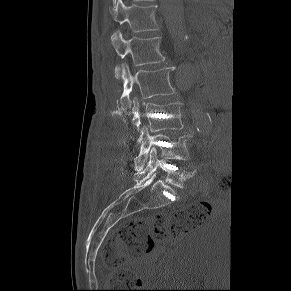

CT spine · sagittal view · bone window · 291x291 px
Box edges are left/top/right/bottom in pixels.
L5: left=134, top=147, right=196, bottom=188
L4: left=134, top=126, right=193, bottom=171
L3: left=132, top=97, right=183, bottom=131
L2: left=118, top=63, right=175, bottom=112
L1: left=112, top=31, right=164, bottom=78
T12: left=109, top=0, right=158, bottom=39